Spine computed tomography · sagittal reformat · bone-window reconstruction
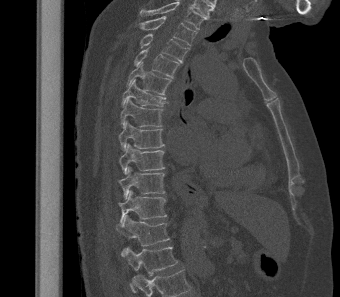

Boxes below are [x1, y1, x2, y2] in pixels.
This scan's labels start at T2 at the top and end at L1 at the bottom.
{"vertebrae":{"T2":[139,16,196,45],"T3":[140,34,189,62],"T4":[134,47,180,78],"T5":[126,62,172,95],"T6":[121,79,168,106],"T7":[120,98,163,127],"T8":[119,121,164,150],"T9":[119,143,165,174],"T10":[119,166,166,199],"T11":[119,190,167,224],"T12":[116,214,170,253],"L1":[122,247,178,292]}}